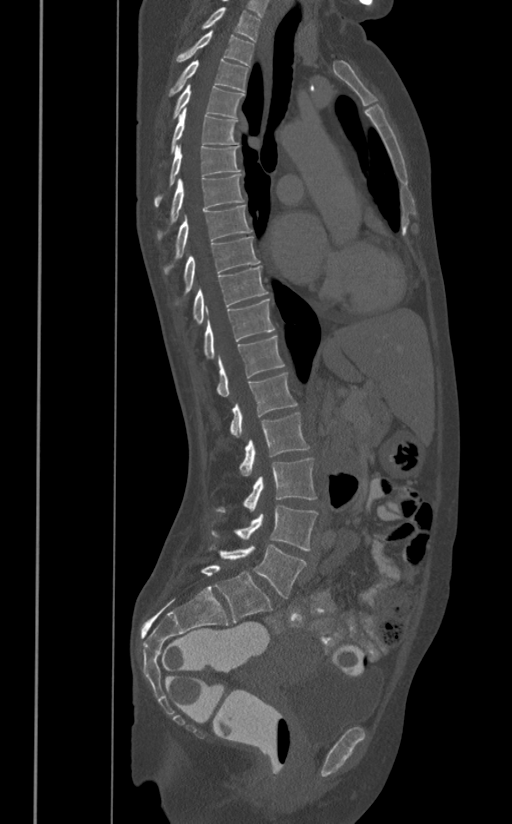 Spine CT; sagittal view; bone-window reconstruction; 512x824 px

Coordinates as <box>x1,y1,x2,y2</box>. 17 vertebrae labeled — L5 at <box>219,544,307,598</box>; L4 at <box>211,506,317,551</box>; L3 at <box>216,458,317,512</box>; L2 at <box>239,412,309,476</box>; L1 at <box>230,372,297,436</box>; T12 at <box>216,336,284,396</box>; T11 at <box>204,298,274,358</box>; T10 at <box>192,266,267,324</box>; T9 at <box>183,236,259,294</box>; T8 at <box>164,204,252,274</box>; T7 at <box>157,174,244,238</box>; T6 at <box>154,145,241,206</box>; T5 at <box>171,108,238,153</box>; T4 at <box>173,84,244,118</box>; T3 at <box>169,59,248,96</box>; T2 at <box>175,31,254,66</box>; T1 at <box>202,7,259,41</box>.